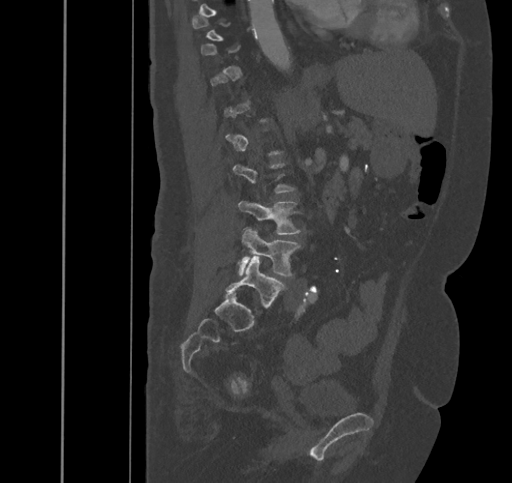 Spine computed tomography — sagittal reformat
Boxes: x1 y1 x2 y2 (pixel coords, space-separated). Not every vertebra on this slice has a box: a vertebra is boxed only from the first to the last slice where its cross-section is at least a third of its largest, and this slice is outside that range for at least one of them. The labeled vertebrae in this slice are: L3 at 238 201 300 234, L4 at 238 228 299 275, L5 at 225 255 284 307.